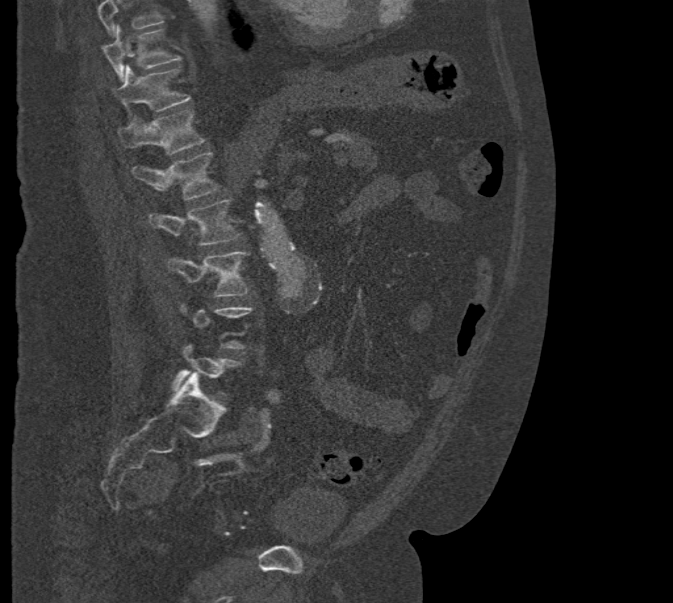

Spine computed tomography. sagittal view. bone-window reconstruction. Bounding boxes as [x1, y1, x2, y2] in pixel coordinates. Not every vertebra on this slice has a box: a vertebra is boxed only from the first to the last slice where its cross-section is at least a third of its largest, and this slice is outside that range for at least one of them. Where the top of the scan cuts through a vertebra, that vertebra gets no label or box. The labeled vertebrae in this slice are: T10 at [103, 25, 182, 81], T11 at [112, 65, 191, 111], T12 at [117, 110, 204, 154], L1 at [131, 152, 218, 199], L2 at [148, 199, 241, 245], L3 at [167, 252, 249, 297], L5 at [171, 343, 241, 394].